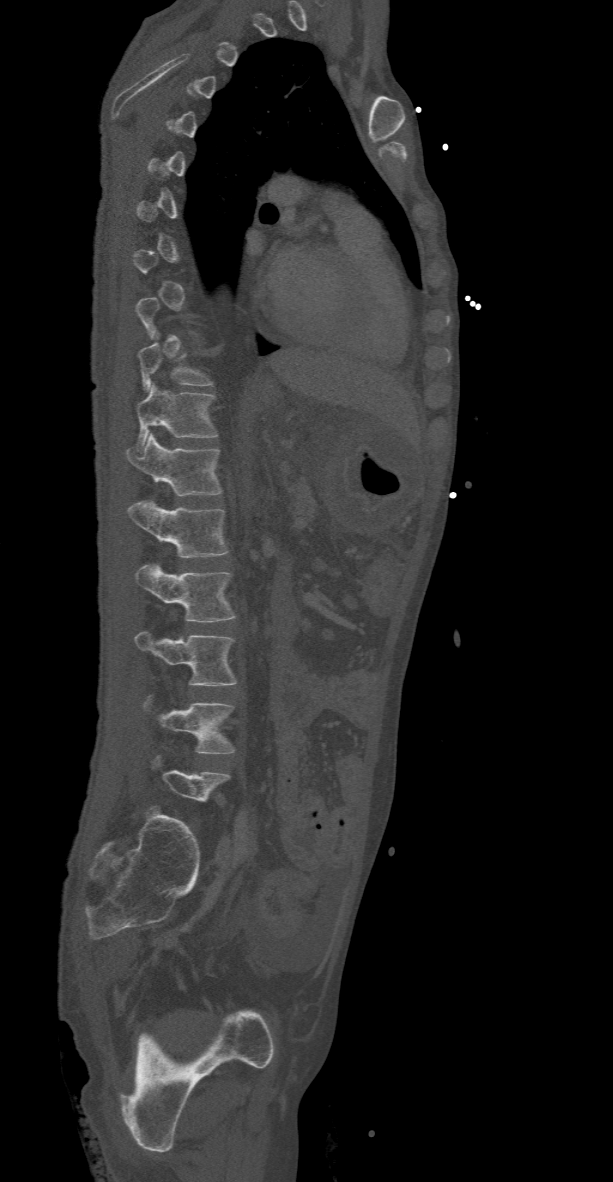 CT, spine — sagittal view

Box edges are left/top/right/bottom in pixels.
A vertebra is boxed only from the first to the last slice where its cross-section is at least a third of its largest; slices outside that range leave it without a box.
Vertebra bounding boxes:
- T10: left=137, top=333, right=212, bottom=390
- T11: left=134, top=386, right=217, bottom=453
- T12: left=127, top=434, right=221, bottom=496
- L1: left=127, top=501, right=227, bottom=558
- L2: left=134, top=566, right=235, bottom=621
- L3: left=134, top=632, right=235, bottom=685
- L4: left=144, top=696, right=234, bottom=753